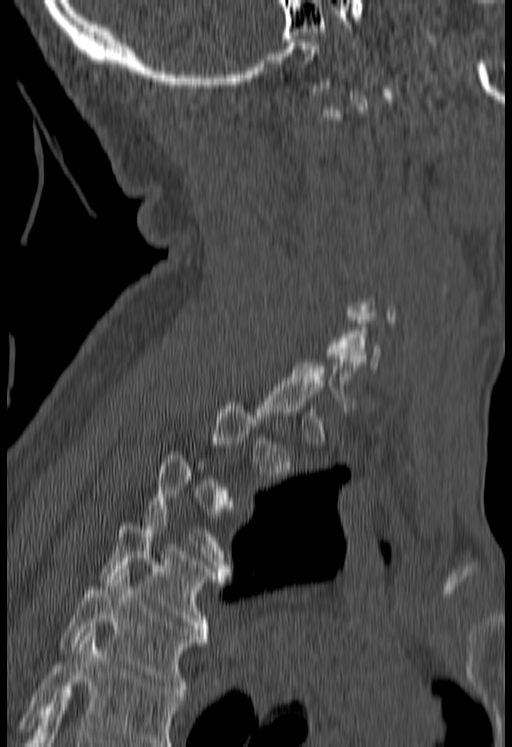
CT spine · sagittal view · image 180 mm wide · bone window
Boxes: x1:y1:x2:y2 in pixels. Not every vertebra on this slice has a box: a vertebra is boxed only from the first to the last slice where its cross-section is at least a third of its largest, and this slice is outside that range for at least one of them. Vertebrae that run past the bottom of the scan are left unlabeled. The labeled vertebrae in this slice are: T5 at 61:569:205:696, T4 at 100:512:225:639.